Computed tomography of the spine; Sagittal slice 245/512; W/L 1800/400 HU
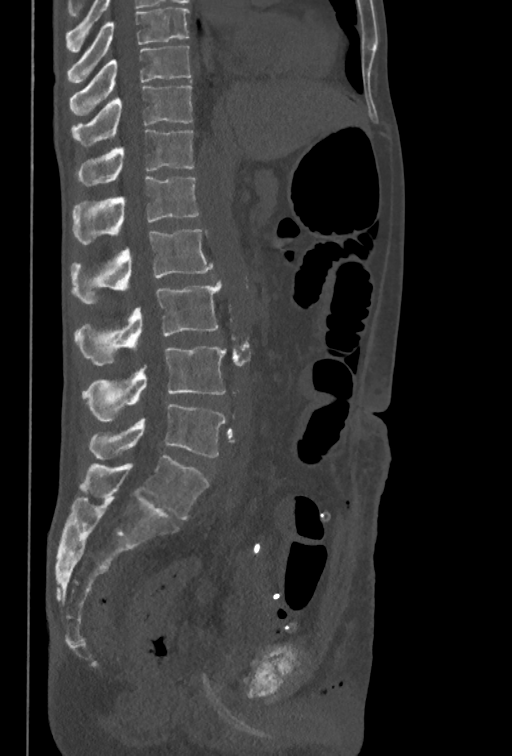 Boxes below are [x1, y1, x2, y2] in pixels.
This scan's labels start at T10 at the top and end at L5 at the bottom.
{"vertebrae":{"T10":[70,46,190,116],"T11":[71,86,192,146],"T12":[76,129,193,186],"L1":[72,176,199,244],"L2":[71,229,212,303],"L3":[74,280,222,365],"L4":[82,346,226,422],"L5":[89,404,226,460]}}